CT — sagittal view — W/L 1800/400 HU — 512x973 px
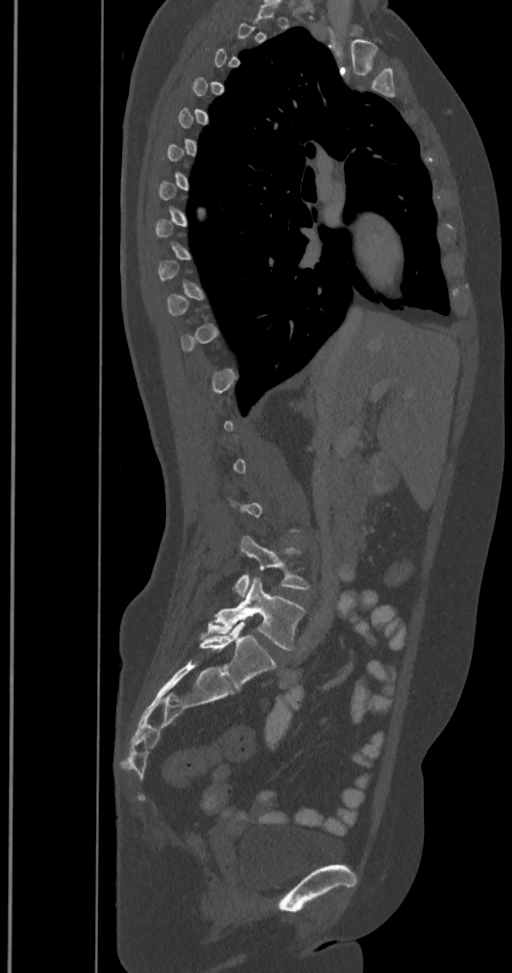
Bounding boxes as [x1, y1, x2, y2] in pixel coordinates.
A vertebra is boxed only from the first to the last slice where its cross-section is at least a third of its largest; slices outside that range leave it without a box.
In these labels the spine has an L6, a sixth lumbar vertebra below L5.
L4: [235, 536, 309, 594]
L5: [201, 577, 305, 649]
L6: [200, 621, 275, 686]